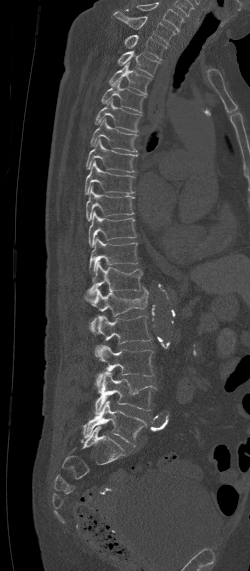
CT spine; sagittal view; 250x571 px

Coordinates as <box>x1,y1,x2,y2</box>.
In this scan, the topmost labeled vertebra is C7 and the lowest is L5.
Vertebra bounding boxes:
- C7: <box>114,12,176,45</box>
- T1: <box>123,35,167,60</box>
- T2: <box>118,50,160,77</box>
- T3: <box>109,61,152,95</box>
- T4: <box>101,79,146,112</box>
- T5: <box>93,98,142,132</box>
- T6: <box>90,119,138,152</box>
- T7: <box>86,139,137,172</box>
- T8: <box>85,161,135,194</box>
- T9: <box>86,187,133,220</box>
- T10: <box>88,210,135,247</box>
- T11: <box>89,237,137,274</box>
- T12: <box>83,260,143,300</box>
- L1: <box>88,286,148,335</box>
- L2: <box>95,315,151,343</box>
- L3: <box>95,345,153,393</box>
- L4: <box>94,371,156,414</box>
- L5: <box>81,401,147,444</box>